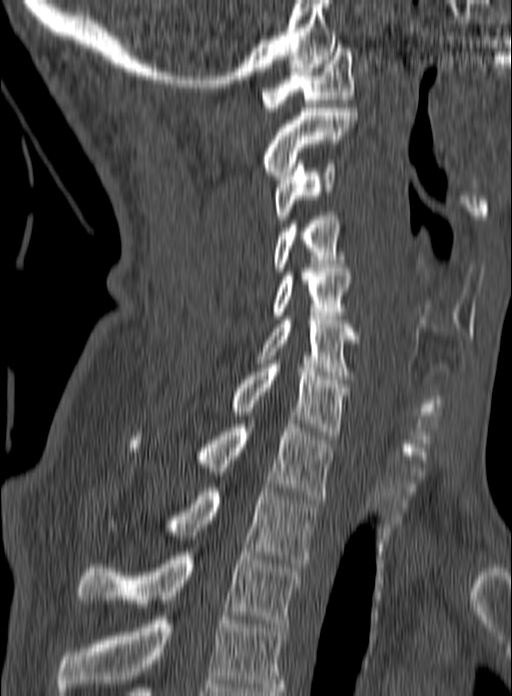
Computed tomography of the spine. sagittal view. 512x696 px. image 160 mm wide
Boxes are given in columns x1, y1, x2, y2, the pixel coordinates of their top-left and bottom-right corners.
Labels in this scan begin with C1 at the top and end with T3 at the bottom.
| vertebra | x1 | y1 | x2 | y2 |
|---|---|---|---|---|
| C1 | 262 | 48 | 353 | 111 |
| C2 | 264 | 108 | 357 | 179 |
| C3 | 273 | 160 | 336 | 219 |
| C4 | 273 | 216 | 346 | 271 |
| C5 | 270 | 268 | 350 | 319 |
| C6 | 257 | 312 | 360 | 379 |
| C7 | 232 | 360 | 348 | 435 |
| T1 | 129 | 420 | 334 | 499 |
| T2 | 170 | 488 | 317 | 567 |
| T3 | 78 | 552 | 301 | 627 |